CT, spine · Sagittal slice 148/371 · bone-window reconstruction · 371x594 px · scan covers 15 annotated vertebrae
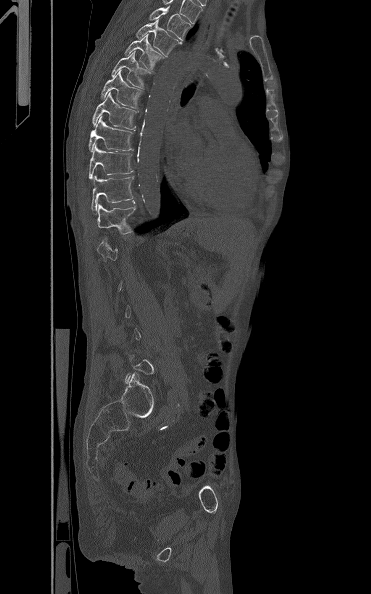

Boxes: x1:y1:x2:y2 in pixels.
A vertebra is boxed only from the first to the last slice where its cross-section is at least a third of its largest; slices outside that range leave it without a box.
Vertebra bounding boxes:
- T12: 97:204:136:234
- T11: 91:175:133:211
- T10: 88:143:133:179
- T9: 88:116:133:152
- T8: 92:91:136:129
- T7: 100:70:142:108
- T6: 111:51:150:88
- T5: 124:34:165:69
- T4: 136:19:182:56
- T3: 149:6:190:40